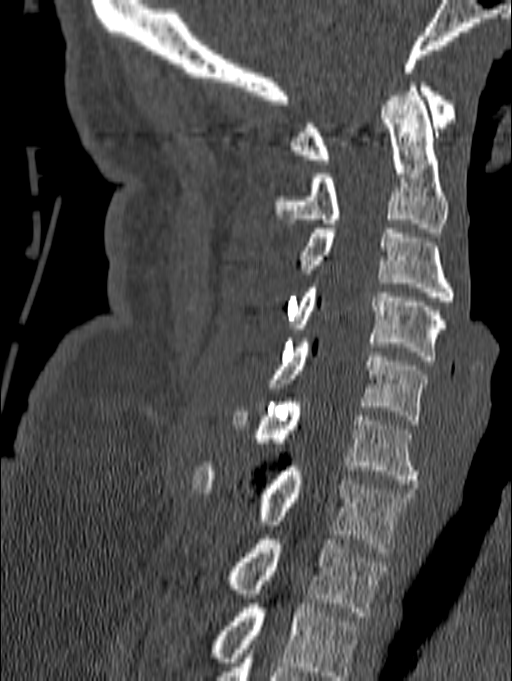 CT spine — sagittal view — bone window — 512x681 px
Boxes are (x1, y1, x2, y2) in pixels.
The highest labeled vertebra in this scan is C1; the lowest is T1.
Vertebra bounding boxes:
- C1: (290, 82, 455, 164)
- C2: (275, 82, 447, 232)
- C3: (300, 229, 454, 301)
- C4: (290, 283, 447, 360)
- C5: (268, 338, 430, 424)
- C6: (232, 398, 421, 484)
- C7: (192, 462, 414, 557)
- T1: (225, 535, 385, 616)